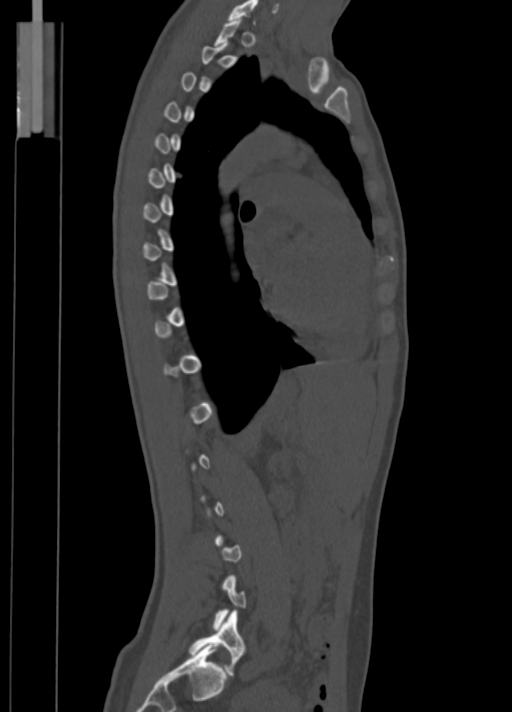
Computed tomography of the spine; sagittal view; W/L 1800/400 HU; 512x712 px
Each box is [x1, y1, x2, y2] in pixels: top-left corner, then bottom-right corner.
Not every vertebra on this slice has a box: a vertebra is boxed only from the first to the last slice where its cross-section is at least a third of its largest, and this slice is outside that range for at least one of them.
{"vertebrae":{"C7":[228,0,258,22],"L5":[188,611,245,675]}}